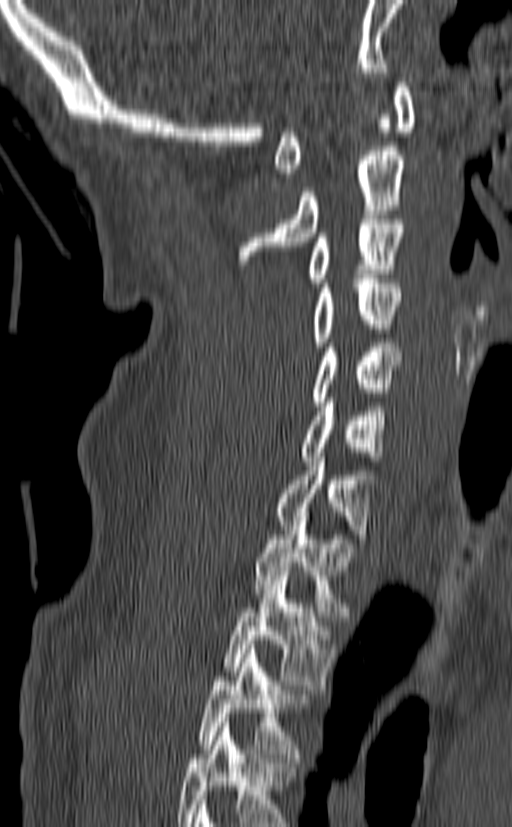
CT — sagittal view — Bone window (WL 400, WW 1800)
Boxes: x1 y1 x2 y2 (pixel coords, space-separated).
This scan's labels start at C1 at the top and end at T3 at the bottom.
Vertebra bounding boxes:
- T3: 199 645 308 762
- T2: 223 571 333 689
- T1: 254 517 358 616
- C7: 276 457 374 548
- C6: 301 398 388 461
- C5: 311 343 403 406
- C4: 312 279 402 346
- C3: 309 219 403 287
- C2: 238 146 406 264
- C1: 275 78 416 177